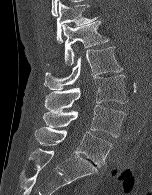

CT spine · sagittal view · Bone window (WL 400, WW 1800) · the image spans 152 mm across · 152x195 px
Each box is [x1, y1, x2, y2] in pixels: top-left corner, then bottom-right corner.
{"vertebrae":{"L5":[34,127,112,166],"L4":[43,105,125,137],"L3":[45,74,127,111],"L2":[44,47,123,90],"L1":[46,21,109,65],"T12":[56,1,98,43]}}